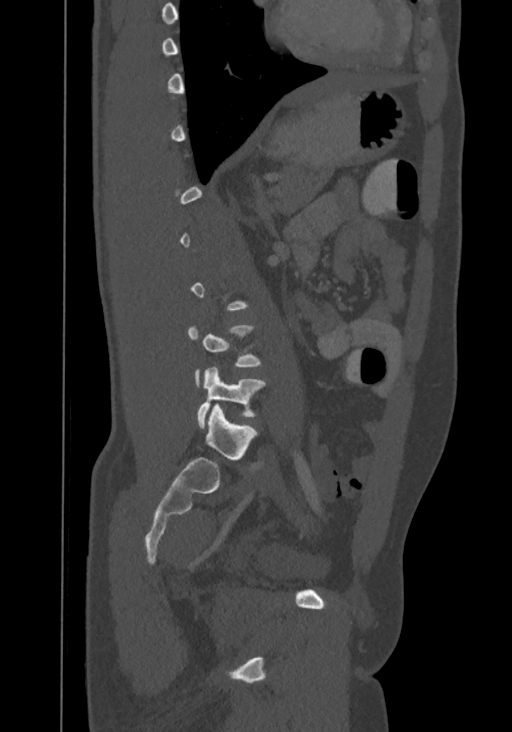 Computed tomography of the spine; the image is 367 mm wide; sagittal reformat; bone-window reconstruction. Each box given as x1,y1,x2,y2.
A vertebra gets a box only on the slices from the first to the last where its cross-section is at least a third of its largest; on a slice outside that range it gets none.
Labels in this scan begin with T8 at the top and end with L4 at the bottom.
Vertebra bounding boxes:
- L4: x1=198, y1=367, x2=265, y2=428
- L3: x1=188, y1=325, x2=261, y2=383